CT · sagittal reformat · bone window · scan covers 7 annotated vertebrae
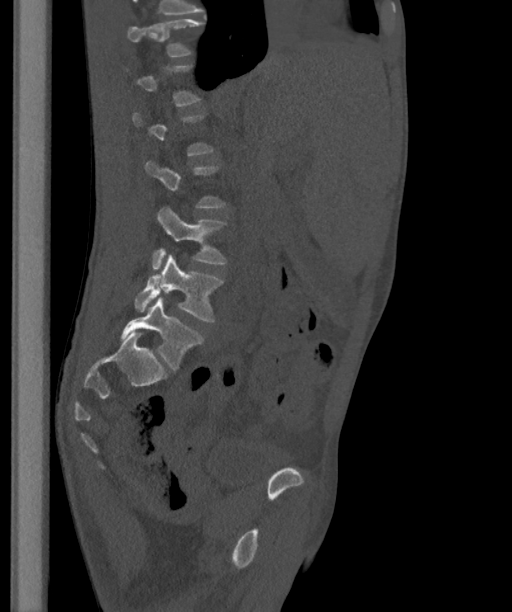
A vertebra gets a box only on the slices from the first to the last where its cross-section is at least a third of its largest; on a slice outside that range it gets none.
This scan's labels start at T12 at the top and end at L6 at the bottom.
The labels name a sixth lumbar vertebra for this spine: L6, after L5.
<vertebrae><v name="T12" x1="127" y1="19" x2="203" y2="56"/><v name="L4" x1="152" y1="206" x2="226" y2="269"/><v name="L5" x1="134" y1="254" x2="223" y2="321"/><v name="L6" x1="120" y1="297" x2="203" y2="370"/></vertebrae>